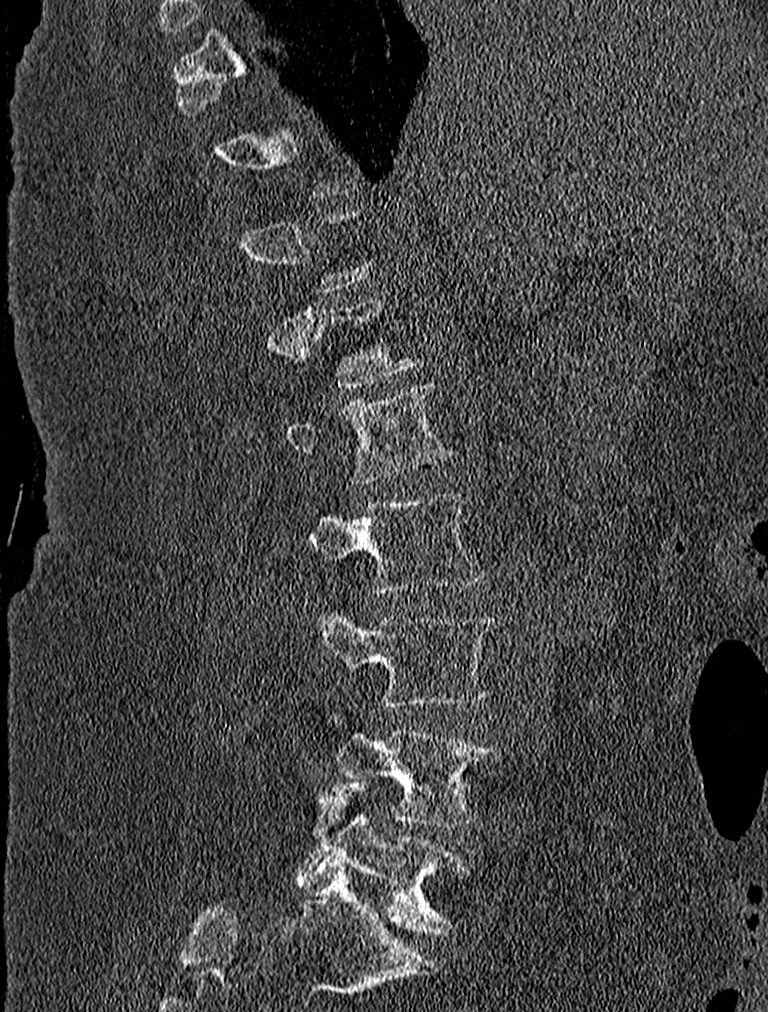 CT, spine · sagittal view · bone window

Boxes below are [x1, y1, x2, y2] in pixels.
Each vertebra is boxed only on the slices from the first to the last where its cross-section reaches a third of its largest, so a slice outside that range leaves it unboxed.
{"vertebrae":{"L1":[286,382,451,483],"L2":[307,495,482,593],"L3":[308,601,495,708],"L4":[337,729,498,826],"L5":[297,778,468,934]}}